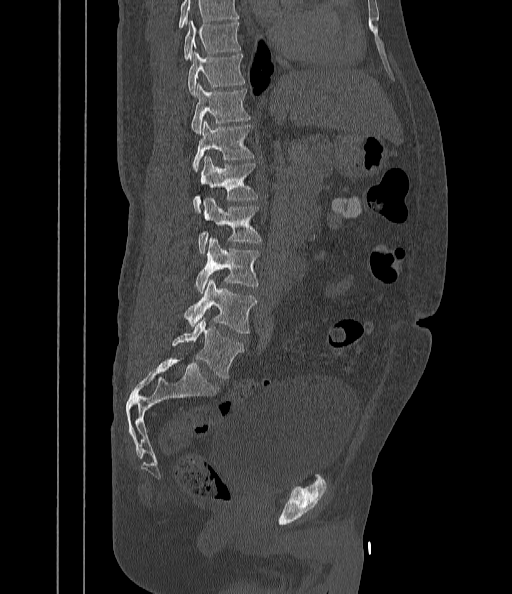 CT spine — sagittal reformat — 512x594 px — the image spans 442 mm across
Each box given as x1,y1,x2,y2.
A vertebra cut off by the top edge of the scan is not labeled and has no box.
T9: x1=183, y1=19, x2=241, y2=60
T10: x1=188, y1=52, x2=244, y2=95
T11: x1=191, y1=85, x2=250, y2=133
T12: x1=192, y1=120, x2=255, y2=171
L1: x1=193, y1=156, x2=258, y2=213
L2: x1=198, y1=198, x2=262, y2=254
L3: x1=195, y1=238, x2=260, y2=293
L4: x1=184, y1=280, x2=257, y2=334
L5: x1=173, y1=318, x2=244, y2=380